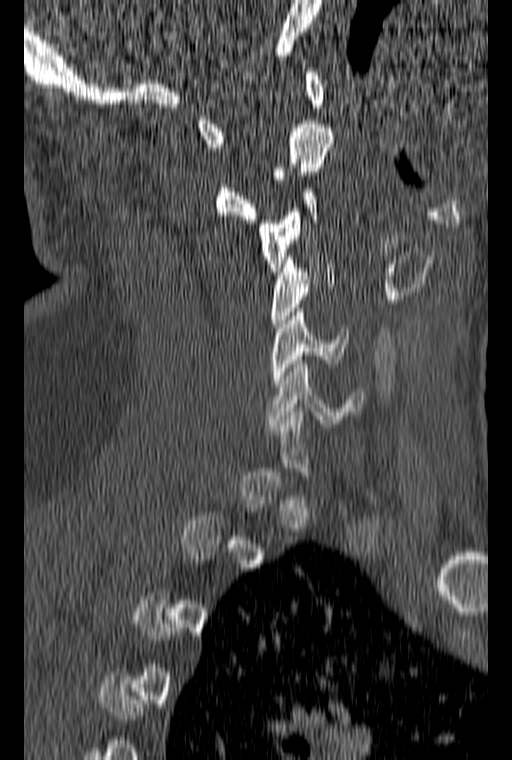
Computed tomography of the spine; sagittal view; bone window

Boxes are (x1, y1, x2, y2) in pixels.
Not every vertebra on this slice has a box: a vertebra is boxed only from the first to the last slice where its cross-section is at least a third of its largest, and this slice is outside that range for at least one of them.
Vertebra bounding boxes:
- C6: (267, 356, 362, 427)
- C5: (272, 308, 348, 387)
- C4: (271, 252, 334, 327)
- C3: (258, 188, 318, 271)
- C2: (216, 124, 333, 223)
- C1: (197, 68, 326, 147)